CT. sagittal view. 512x694 px
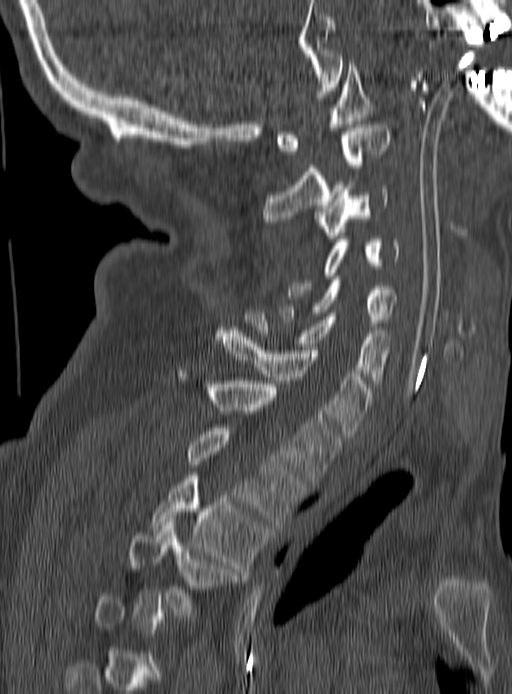
Box edges are left/top/right/bottom in pixels.
Not every vertebra on this slice has a box: a vertebra is boxed only from the first to the last slice where its cross-section is at least a third of its largest, and this slice is outside that range for at least one of them.
Vertebra bounding boxes:
- T4: left=128, top=519, right=240, bottom=619
- T3: left=152, top=472, right=267, bottom=575
- T2: left=187, top=428, right=304, bottom=524
- T1: left=179, top=367, right=339, bottom=484
- C7: left=216, top=330, right=372, bottom=434
- C6: left=245, top=310, right=390, bottom=383
- C5: left=280, top=280, right=396, bottom=326
- C4: left=289, top=236, right=400, bottom=299
- C3: left=316, top=185, right=388, bottom=238
- C2: left=262, top=121, right=388, bottom=225
- C1: left=276, top=64, right=373, bottom=154